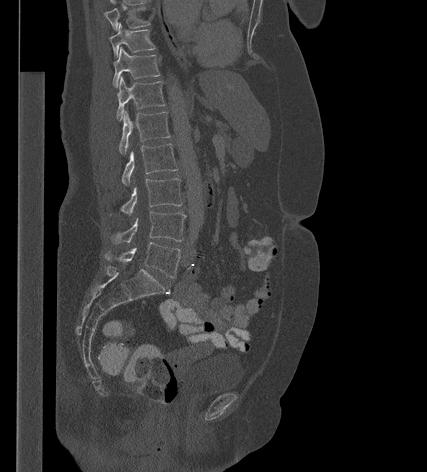

Spine CT. sagittal view. Bone window (WL 400, WW 1800). 427x472 px. 427 mm image width
<vertebrae><v name="T9" x1="104" y1="7" x2="150" y2="30"/><v name="T10" x1="110" y1="23" x2="155" y2="57"/><v name="T11" x1="113" y1="47" x2="160" y2="87"/><v name="T12" x1="116" y1="77" x2="165" y2="120"/><v name="L1" x1="119" y1="111" x2="170" y2="154"/><v name="L2" x1="121" y1="143" x2="178" y2="184"/><v name="L3" x1="108" y1="178" x2="182" y2="216"/><v name="L4" x1="107" y1="211" x2="185" y2="244"/><v name="L5" x1="104" y1="242" x2="180" y2="277"/></vertebrae>